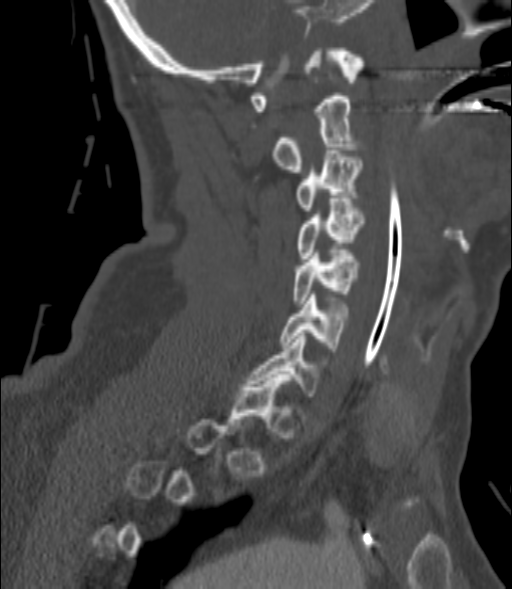
Spine CT. sagittal view

Box edges are left/top/right/bottom in pixels.
A vertebra is boxed only from the first to the last slice where its cross-section is at least a third of its largest; slices outside that range leave it without a box.
| vertebra | x1 | y1 | x2 | y2 |
|---|---|---|---|---|
| C7 | 247 | 333 | 325 | 399 |
| C6 | 280 | 294 | 348 | 351 |
| C5 | 293 | 250 | 359 | 303 |
| C4 | 298 | 198 | 363 | 261 |
| C3 | 295 | 150 | 362 | 210 |
| C2 | 272 | 96 | 361 | 172 |